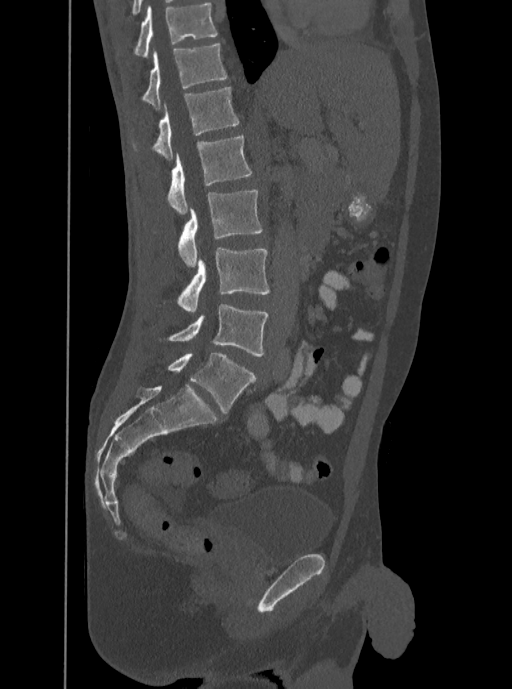

CT spine. sagittal view. W/L 1800/400 HU. Each box given as x1,y1,x2,y2.
The highest labeled vertebra in this scan is T12; the lowest is L5.
L5: x1=167, y1=304, x2=268, y2=356
L4: x1=177, y1=246, x2=269, y2=311
L3: x1=177, y1=190, x2=262, y2=266
L2: x1=167, y1=136, x2=252, y2=214
L1: x1=131, y1=87, x2=239, y2=160
T12: x1=142, y1=43, x2=227, y2=108